CT, spine. sagittal reformat. Bone window (WL 400, WW 1800). 512x919 px. scan covers 12 annotated vertebrae
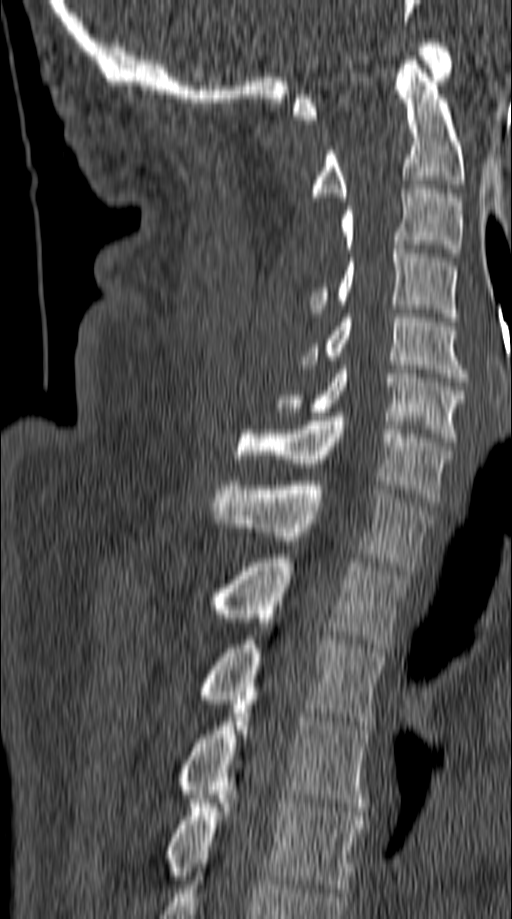 Coordinates as <box>x1,y1,x2,y2</box>.
C1: <box>293,39,452,119</box>
C2: <box>313,56,464,197</box>
C3: <box>341,185,461,257</box>
C4: <box>310,245,457,321</box>
C5: <box>300,314,466,381</box>
C6: <box>275,365,464,441</box>
C7: <box>236,412,450,502</box>
T1: <box>212,481,433,570</box>
T2: <box>214,554,406,652</box>
T3: <box>197,640,385,725</box>
T4: <box>180,696,371,811</box>
T5: <box>166,795,364,892</box>